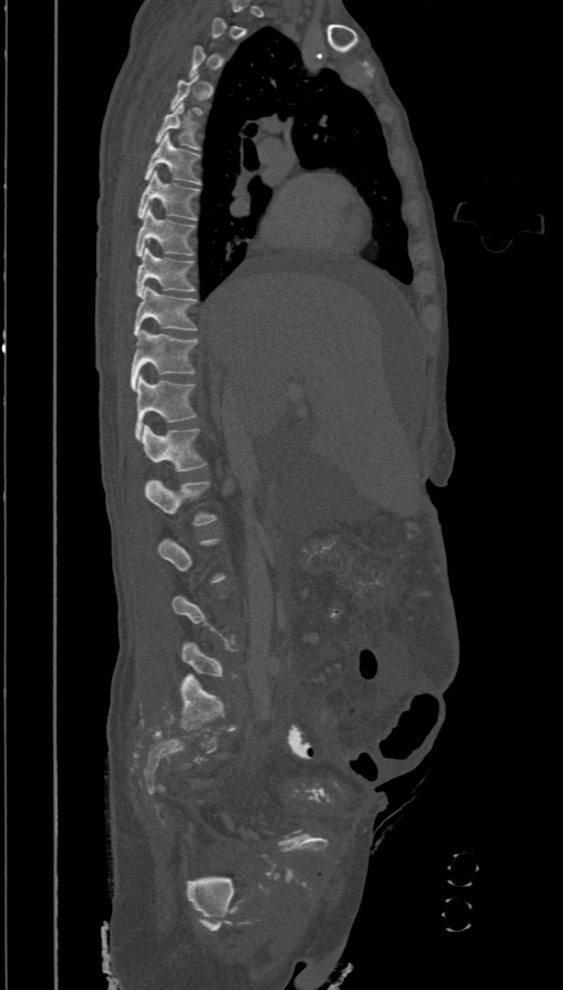 CT spine · sagittal view · bone-window reconstruction · 563x990 px. Coordinates as <box>x1,y1,x2,y2</box>.
Each vertebra is boxed only on the slices from the first to the last where its cross-section reaches a third of its largest, so a slice outside that range leaves it unboxed.
Vertebra bounding boxes:
- L2: <box>145,479,216,525</box>
- L1: <box>141,425,206,471</box>
- T12: <box>135,373,196,440</box>
- T11: <box>131,329,197,391</box>
- T10: <box>133,286,197,336</box>
- T9: <box>135,247,196,296</box>
- T8: <box>135,207,196,256</box>
- T7: <box>137,170,199,219</box>
- T6: <box>144,133,200,184</box>
- T5: <box>155,103,200,149</box>